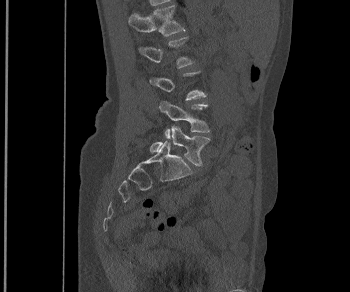 Computed tomography of the spine — sagittal view. Bounding boxes as [x1, y1, x2, y2] in pixel coordinates.
A vertebra gets a box only on the slices from the first to the last where its cross-section is at least a third of its largest; on a slice outside that range it gets none.
Vertebra bounding boxes:
- L1: [129, 4, 184, 36]
- L2: [139, 36, 194, 68]
- L4: [158, 100, 210, 139]
- L5: [150, 126, 210, 165]